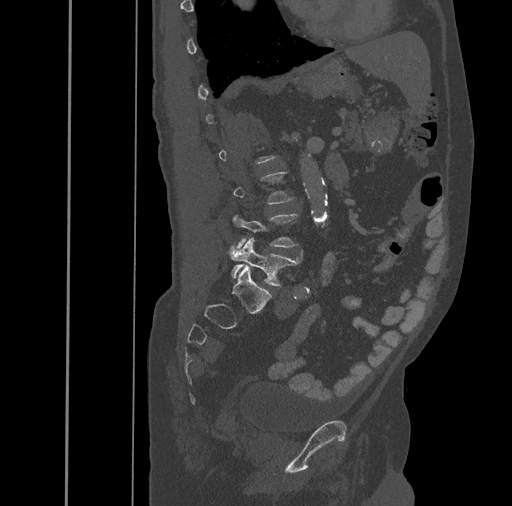
CT; sagittal view. In the table, x1 and y1 are a box's top-left corner and x2 and y2 its bottom-right corner, in pixels.
A vertebra gets a box only on the slices from the first to the last where its cross-section is at least a third of its largest; on a slice outside that range it gets none.
| vertebra | x1 | y1 | x2 | y2 |
|---|---|---|---|---|
| L4 | 233 | 214 | 303 | 251 |
| L5 | 229 | 238 | 302 | 286 |